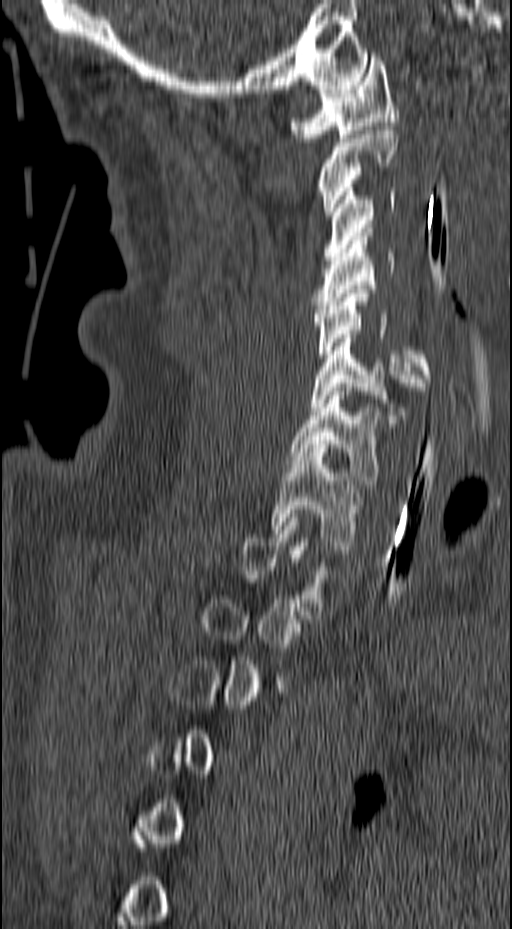
Spine CT · sagittal view · bone-window reconstruction · 512x929 px
Not every vertebra on this slice has a box: a vertebra is boxed only from the first to the last slice where its cross-section is at least a third of its largest, and this slice is outside that range for at least one of them.
<vertebrae><v name="C1" x1="290" y1="57" x2="398" y2="142"/><v name="C2" x1="317" y1="126" x2="398" y2="215"/><v name="C3" x1="323" y1="188" x2="395" y2="260"/><v name="C4" x1="310" y1="232" x2="395" y2="309"/><v name="C5" x1="313" y1="289" x2="430" y2="386"/><v name="C6" x1="311" y1="334" x2="425" y2="423"/><v name="C7" x1="288" y1="387" x2="380" y2="484"/><v name="T1" x1="272" y1="448" x2="361" y2="549"/></vertebrae>